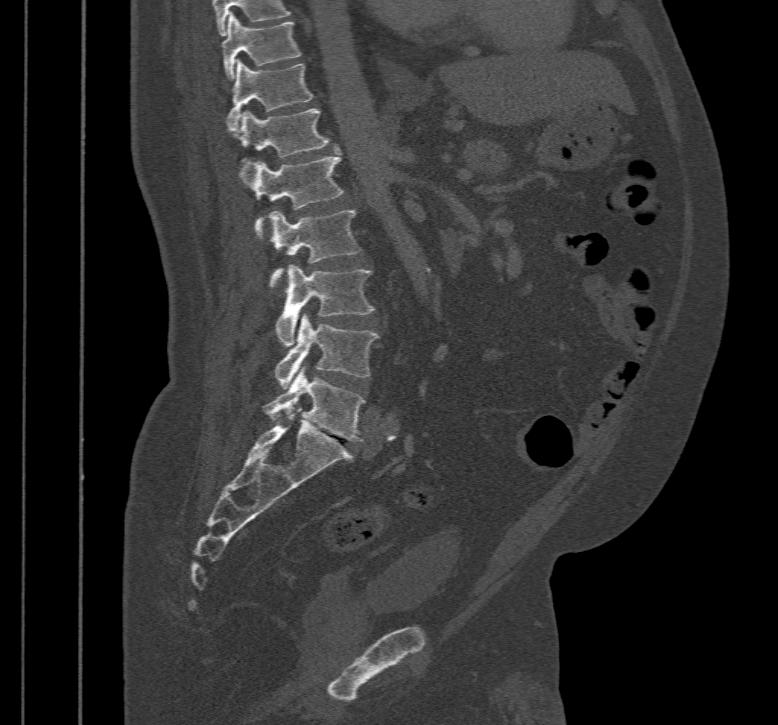

Computed tomography of the spine — sagittal view — 467 mm wide

Box edges are left/top/right/bottom in pixels.
| vertebra | x1 | y1 | x2 | y2 |
|---|---|---|---|---|
| T10 | 222 | 12 | 302 | 80 |
| T11 | 227 | 59 | 314 | 131 |
| T12 | 240 | 109 | 329 | 184 |
| L1 | 252 | 152 | 344 | 239 |
| L2 | 268 | 210 | 362 | 289 |
| L3 | 275 | 264 | 376 | 346 |
| L4 | 275 | 314 | 379 | 388 |
| L5 | 263 | 367 | 365 | 441 |